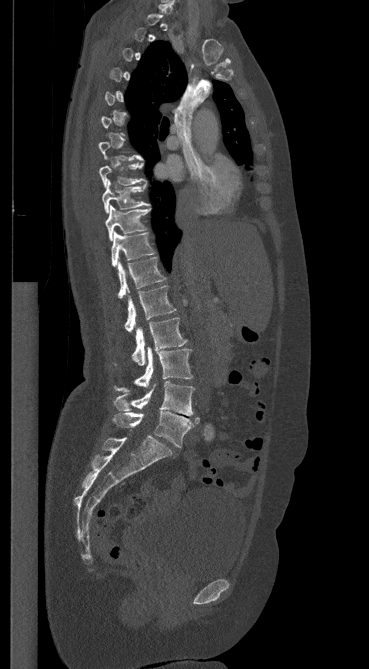
Spine CT. sagittal reformat. 369x669 px. 369 mm across the image. Each box given as x1,y1,x2,y2.
Each vertebra is boxed only on the slices from the first to the last where its cross-section reaches a third of its largest, so a slice outside that range leaves it unboxed.
| vertebra | x1 | y1 | x2 | y2 |
|---|---|---|---|---|
| L5 | 112 | 411 | 199 | 447 |
| L4 | 114 | 381 | 194 | 415 |
| L3 | 115 | 348 | 192 | 391 |
| L2 | 114 | 317 | 186 | 366 |
| L1 | 124 | 286 | 175 | 332 |
| T12 | 118 | 257 | 165 | 298 |
| T11 | 111 | 231 | 154 | 267 |
| T10 | 105 | 205 | 150 | 241 |
| T9 | 102 | 180 | 149 | 213 |
| T8 | 99 | 162 | 146 | 187 |